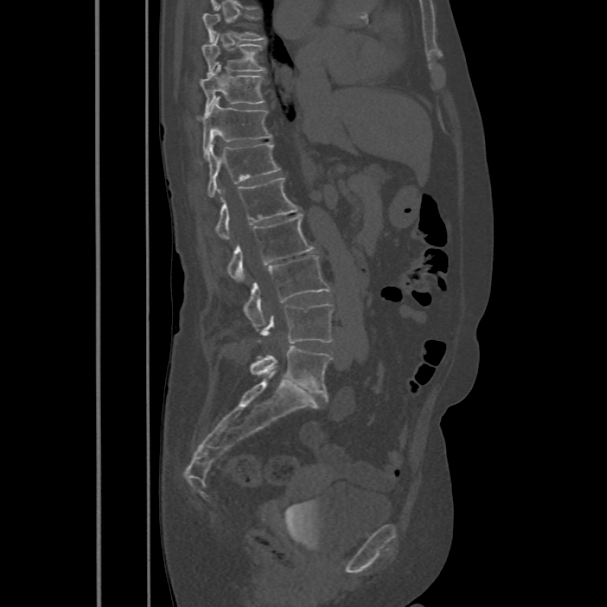 CT, spine. sagittal view. W/L 1800/400 HU. the image spans 486 mm across. 607x607 px
Boxes are given in columns x1, y1, x2, y2, the pixel coordinates of their top-left and bottom-right corners.
A vertebra gets a box only on the slices from the first to the last where its cross-section is at least a third of its largest; on a slice outside that range it gets none.
| vertebra | x1 | y1 | x2 | y2 |
|---|---|---|---|---|
| T9 | 202 | 36 | 265 | 74 |
| T10 | 199 | 63 | 264 | 110 |
| T11 | 197 | 97 | 272 | 155 |
| T12 | 199 | 142 | 280 | 196 |
| L1 | 216 | 177 | 300 | 240 |
| L2 | 228 | 215 | 315 | 282 |
| L3 | 246 | 255 | 331 | 328 |
| L4 | 257 | 303 | 332 | 342 |
| L5 | 250 | 346 | 330 | 395 |